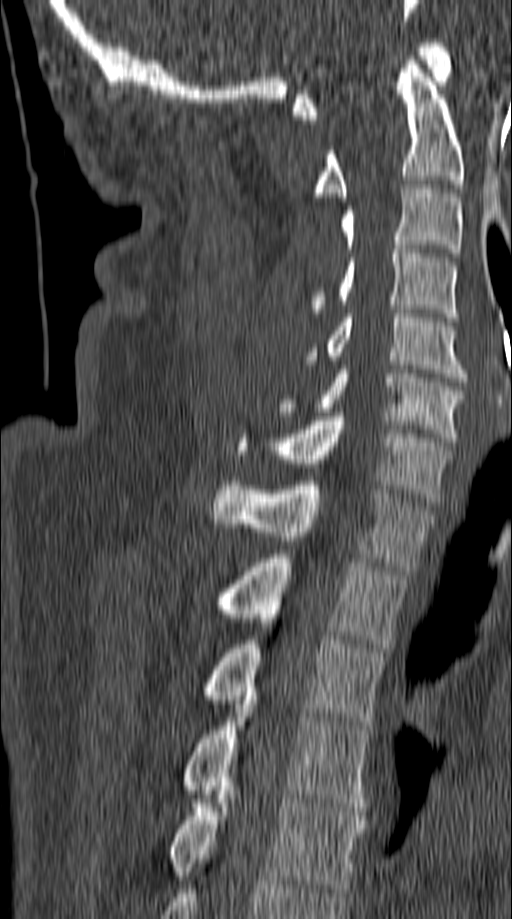 Computed tomography of the spine. sagittal reformat. Bone window (WL 400, WW 1800). 512x919 px. the image is 149 mm wide
<vertebrae><v name="C1" x1="293" y1="43" x2="452" y2="119"/><v name="C2" x1="314" y1="56" x2="464" y2="201"/><v name="C3" x1="341" y1="185" x2="461" y2="257"/><v name="C4" x1="310" y1="245" x2="457" y2="321"/><v name="C5" x1="302" y1="314" x2="466" y2="381"/><v name="C6" x1="278" y1="365" x2="464" y2="441"/><v name="C7" x1="236" y1="412" x2="450" y2="502"/><v name="T1" x1="213" y1="481" x2="433" y2="570"/><v name="T2" x1="214" y1="554" x2="406" y2="652"/><v name="T3" x1="201" y1="640" x2="385" y2="725"/><v name="T4" x1="180" y1="696" x2="371" y2="811"/><v name="T5" x1="170" y1="795" x2="364" y2="892"/></vertebrae>